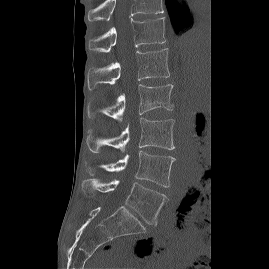
CT, spine; sagittal view

The highest labeled vertebra in this scan is T12; the lowest is L5.
<vertebrae><v name="T12" x1="87" y1="17" x2="165" y2="52"/><v name="L1" x1="87" y1="48" x2="169" y2="90"/><v name="L2" x1="87" y1="84" x2="173" y2="122"/><v name="L3" x1="86" y1="117" x2="174" y2="152"/><v name="L4" x1="85" y1="150" x2="175" y2="187"/><v name="L5" x1="82" y1="178" x2="167" y2="225"/></vertebrae>